CT — sagittal reformat — 18 vertebrae labeled in this scan
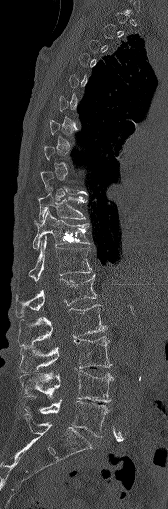
Each box given as x1,y1,x2,y2.
Each vertebra is boxed only on the slices from the first to the last where its cross-section reaches a third of its largest, so a slice outside that range leaves it unboxed.
T10: x1=38, y1=193, x2=84, y2=220
T11: x1=33, y1=211, x2=89, y2=249
T12: x1=28, y1=236, x2=91, y2=281
L1: x1=15, y1=274, x2=96, y2=316
L2: x1=18, y1=305, x2=105, y2=347
L3: x1=20, y1=336, x2=111, y2=370
L4: x1=20, y1=370, x2=112, y2=402
L5: x1=39, y1=400, x2=109, y2=436